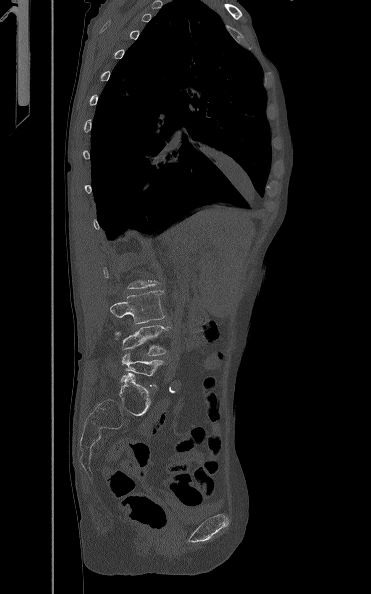 Computed tomography of the spine · sagittal view · 371x594 px

Each row gives a vertebra's box as x1, y1, x2, y2 in pixels: top-left corner, then bottom-right corner.
Each vertebra is boxed only on the slices from the first to the last where its cross-section reaches a third of its largest, so a slice outside that range leaves it unboxed.
| vertebra | x1 | y1 | x2 | y2 |
|---|---|---|---|---|
| L5 | 121 | 353 | 164 | 386 |
| L4 | 114 | 325 | 170 | 355 |
| L3 | 110 | 290 | 165 | 323 |